CT spine; sagittal view; W/L 1800/400 HU; 401x522 px
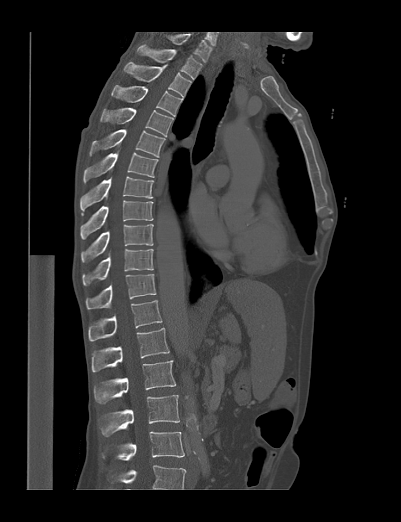

Coordinates as <box>x1,y1,x2,y2</box>. Labels in this scan begin with T1 at the top and end with L4 at the bottom. 16 vertebrae labeled — T1 at <box>137,44,202,79</box>; T2 at <box>124,62,191,96</box>; T3 at <box>111,85,182,116</box>; T4 at <box>100,108,174,135</box>; T5 at <box>89,129,165,157</box>; T6 at <box>84,152,158,182</box>; T7 at <box>80,176,154,215</box>; T8 at <box>80,200,153,239</box>; T9 at <box>81,223,153,263</box>; T10 at <box>82,249,153,285</box>; T11 at <box>85,274,156,309</box>; T12 at <box>88,300,162,341</box>; L1 at <box>91,328,169,371</box>; L2 at <box>94,360,176,403</box>; L3 at <box>101,395,179,436</box>; L4 at <box>103,431,184,460</box>.